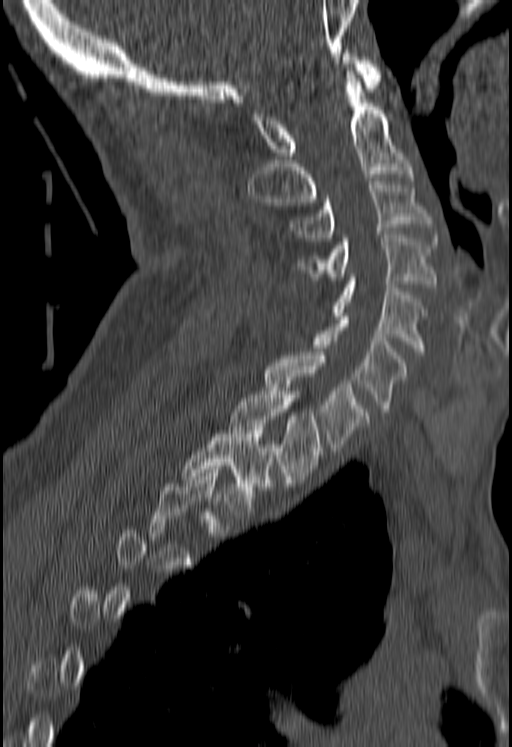
Spine computed tomography. sagittal view. image width 180 mm. W/L 1800/400 HU. 512x747 px

Each vertebra is boxed only on the slices from the first to the last where its cross-section reaches a third of its largest, so a slice outside that range leaves it unboxed.
<vertebrae><v name="C1" x1="250" y1="53" x2="381" y2="159"/><v name="C2" x1="248" y1="68" x2="412" y2="205"/><v name="C3" x1="291" y1="181" x2="432" y2="241"/><v name="C4" x1="298" y1="235" x2="436" y2="287"/><v name="C5" x1="331" y1="277" x2="427" y2="355"/><v name="C6" x1="314" y1="316" x2="407" y2="411"/><v name="C7" x1="265" y1="352" x2="367" y2="451"/><v name="T1" x1="230" y1="388" x2="321" y2="483"/><v name="T2" x1="182" y1="427" x2="270" y2="511"/></vertebrae>